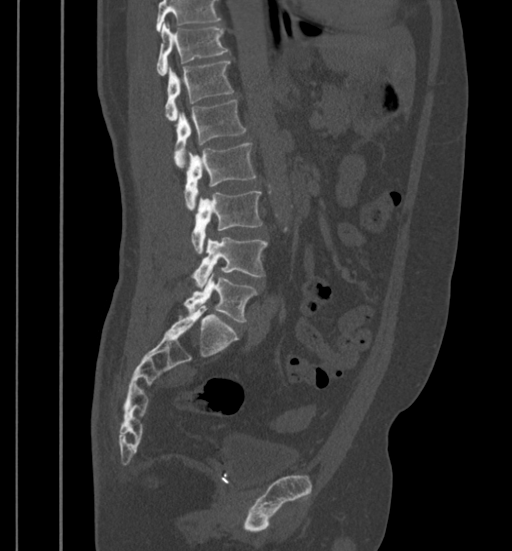
Spine CT — sagittal view — W/L 1800/400 HU. Coordinates as <box>x1,y1,x2,y2</box>.
Vertebrae that run past the top of the scan are left unlabeled.
L5: <box>183,273,257,322</box>
L4: <box>192,237,267,287</box>
L3: <box>191,191,262,253</box>
L2: <box>185,142,255,209</box>
L1: <box>173,100,247,168</box>
T12: <box>165,60,234,120</box>
T11: <box>156,23,229,74</box>